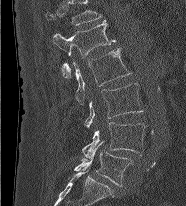 CT spine. 186 mm wide. sagittal view. W/L 1800/400 HU. 186x206 px
Labels in this scan begin with L1 at the top and end with L5 at the bottom.
<vertebrae><v name="L5" x1="74" y1="141" x2="132" y2="186"/><v name="L4" x1="82" y1="122" x2="148" y2="158"/><v name="L3" x1="84" y1="83" x2="143" y2="127"/><v name="L2" x1="72" y1="48" x2="131" y2="104"/><v name="L1" x1="52" y1="20" x2="115" y2="77"/></vertebrae>